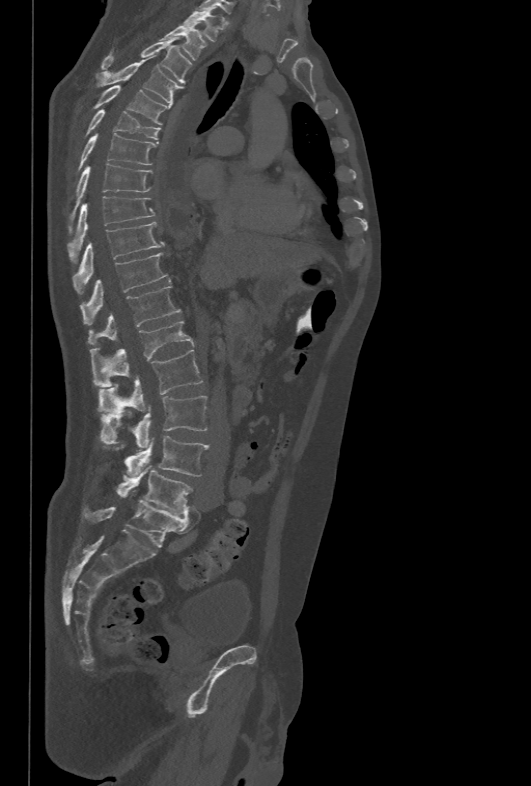 CT spine; sagittal reformat
<vertebrae><v name="L5" x1="116" y1="466" x2="192" y2="515"/><v name="L4" x1="124" y1="436" x2="209" y2="478"/><v name="L3" x1="100" y1="396" x2="206" y2="448"/><v name="L2" x1="99" y1="349" x2="202" y2="415"/><v name="L1" x1="90" y1="320" x2="193" y2="386"/><v name="T12" x1="88" y1="286" x2="182" y2="345"/><v name="T11" x1="80" y1="253" x2="168" y2="324"/><v name="T10" x1="74" y1="222" x2="163" y2="293"/><v name="T9" x1="68" y1="196" x2="155" y2="263"/><v name="T8" x1="68" y1="163" x2="153" y2="232"/><v name="T7" x1="78" y1="133" x2="156" y2="171"/><v name="T6" x1="85" y1="109" x2="160" y2="139"/><v name="T5" x1="93" y1="85" x2="168" y2="124"/><v name="T4" x1="95" y1="55" x2="183" y2="104"/><v name="T3" x1="101" y1="36" x2="191" y2="83"/><v name="T2" x1="161" y1="24" x2="206" y2="59"/><v name="T1" x1="184" y1="10" x2="221" y2="41"/></vertebrae>